Spine computed tomography. sagittal view. Bone window (WL 400, WW 1800). scan covers 16 annotated vertebrae
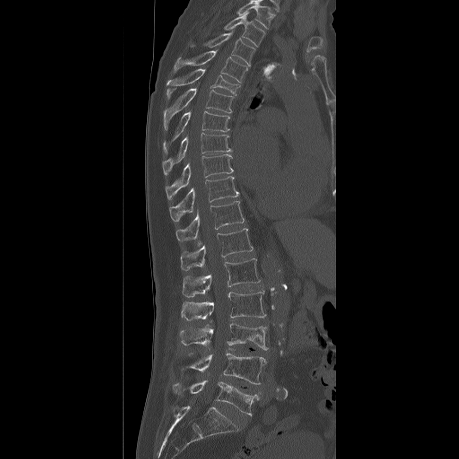

Coordinates as <box>x1,y1,x2,y2</box>. In this scan, the topmost labeled vertebra is T2 and the lowest is L5. The labeled vertebrae in this slice are: T2 at <box>224,12,264,46</box>, T3 at <box>189,33,255,65</box>, T4 at <box>173,50,248,82</box>, T5 at <box>166,69,240,97</box>, T6 at <box>164,88,233,128</box>, T7 at <box>163,111,229,151</box>, T8 at <box>162,132,230,175</box>, T9 at <box>165,154,232,199</box>, T10 at <box>169,176,238,221</box>, T11 at <box>176,201,244,242</box>, T12 at <box>180,228,253,270</box>, L1 at <box>182,258,260,299</box>, L2 at <box>181,291,265,325</box>, L3 at <box>177,323,267,349</box>, L4 at <box>180,352,266,384</box>, L5 at <box>171,380,258,414</box>.